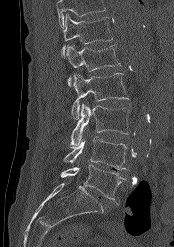

CT spine. sagittal view. 174x247 px. 174 mm image width

Box edges are left/top/right/bottom in pixels.
A vertebra cut off by the top edge of the scan is not labeled and has no box.
Vertebra bounding boxes:
- L5: left=60, top=164, right=125, bottom=205
- L4: left=63, top=136, right=128, bottom=169
- L3: left=70, top=103, right=129, bottom=147
- L2: left=71, top=73, right=128, bottom=119
- L1: left=64, top=44, right=120, bottom=85
- T12: left=61, top=14, right=113, bottom=56